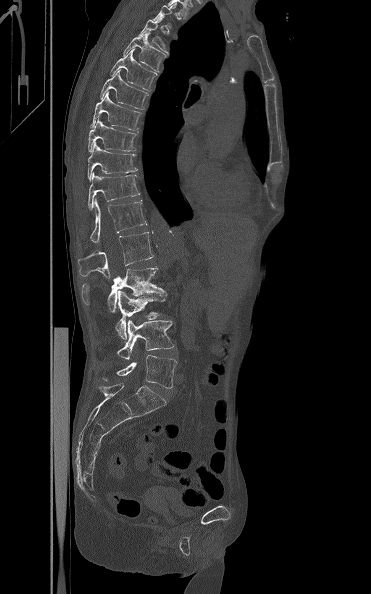

CT spine — sagittal view — bone-window reconstruction — 371x594 px
Each box is [x1, y1, x2, y2] in pixels: top-left corner, then bottom-right corner.
A vertebra is boxed only from the first to the last slice where its cross-section is at least a third of its largest; slices outside that range leave it without a box.
{"vertebrae":{"T4":[138,19,169,54],"T5":[122,33,166,73],"T6":[110,49,156,91],"T7":[100,70,147,109],"T8":[91,92,141,130],"T9":[88,118,136,151],"T10":[88,142,137,180],"T11":[88,172,140,210],"T12":[90,199,147,243],"L1":[78,231,154,278],"L2":[81,267,167,312],"L3":[115,290,165,339],"L4":[116,319,174,359],"L5":[103,355,177,388]}}